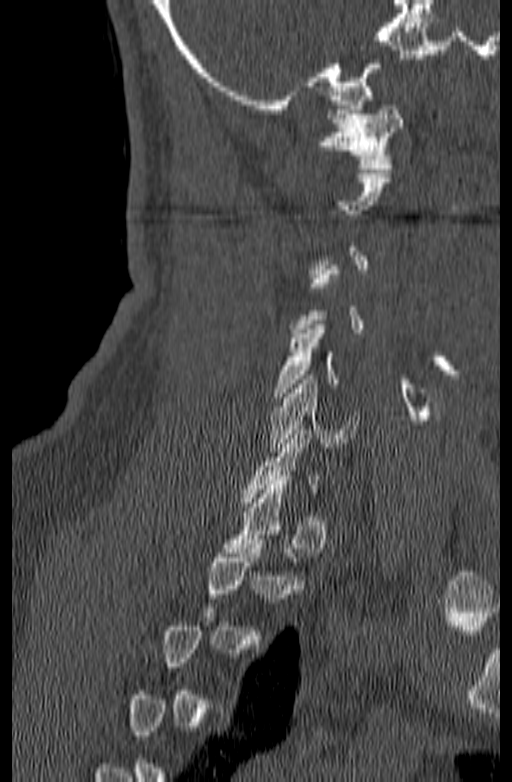
Spine CT · image width 140 mm · sagittal view
Each box given as x1,y1,x2,y2. Not every vertebra on this slice has a box: a vertebra is boxed only from the first to the last slice where its cross-section is at least a third of its largest, and this slice is outside that range for at least one of them. 3 vertebrae labeled — C1 at x1=317, y1=105, x2=403, y2=168; C5 at x1=272, y1=325, x2=340, y2=401; C6 at x1=268, y1=375, x2=359, y2=452.